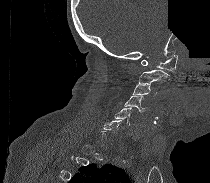 CT spine — sagittal view — an area of the scan was removed and filled with constant pixels. Boxes are (x1, y1, x2, y2) in pixels.
A vertebra gets a box only on the slices from the first to the last where its cross-section is at least a third of its largest; on a slice outside that range it gets none.
C1: (141, 55, 177, 70)
C2: (138, 70, 169, 82)
C3: (132, 82, 157, 95)
C4: (124, 96, 146, 112)
C5: (115, 107, 139, 125)
C6: (102, 120, 121, 132)